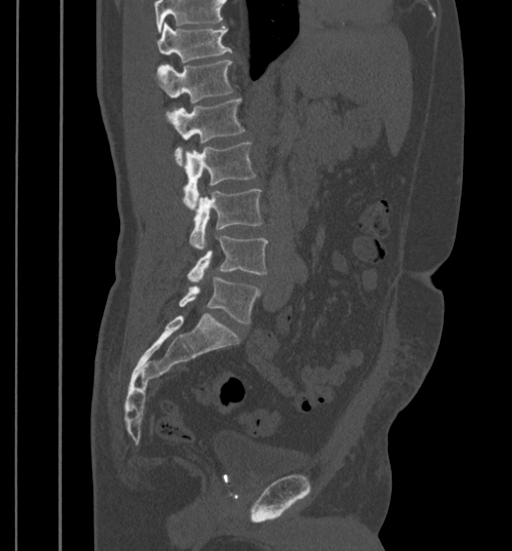

Computed tomography of the spine. sagittal view
In the table, x1 and y1 are a box's top-left corner and x2 and y2 its bottom-right corner, in pixels.
No box is given to a vertebra that the top edge of the scan cuts off.
| vertebra | x1 | y1 | x2 | y2 |
|---|---|---|---|---|
| T11 | 156 | 23 | 231 | 62 |
| T12 | 153 | 60 | 232 | 103 |
| L1 | 167 | 99 | 244 | 165 |
| L2 | 183 | 142 | 255 | 209 |
| L3 | 190 | 188 | 262 | 248 |
| L4 | 187 | 236 | 267 | 281 |
| L5 | 178 | 277 | 259 | 323 |